Computed tomography of the spine; sagittal view; Bone window (WL 400, WW 1800); 512x760 px
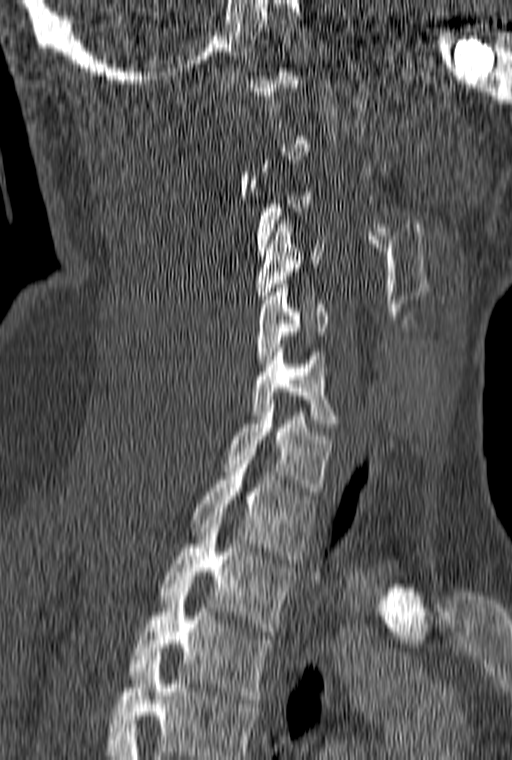

Each vertebra maps to its box as [x1, y1, x2, y2], the pixel coordinates of its top-left and bottom-right corners.
Not every vertebra on this slice has a box: a vertebra is boxed only from the first to the last slice where its cross-section is at least a third of its largest, and this slice is outside that range for at least one of them.
The highest labeled vertebra in this scan is C1; the lowest is T3.
{"vertebrae":{"T3":[129,588,272,703],"T2":[158,520,295,635],"T1":[190,464,316,559],"C7":[225,400,333,495],"C6":[251,344,338,427],"C5":[257,280,327,367],"C4":[257,220,323,303]}}